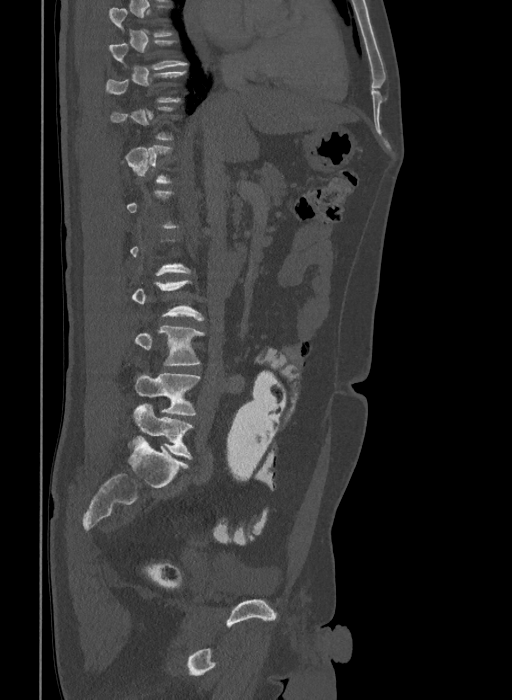

CT; sagittal view; W/L 1800/400 HU; 409 mm across the image
A vertebra gets a box only on the slices from the first to the last where its cross-section is at least a third of its largest; on a slice outside that range it gets none.
In these labels the spine has an L6, a sixth lumbar vertebra below L5.
<vertebrae><v name="L4" x1="135" y1="326" x2="205" y2="365"/><v name="L5" x1="135" y1="373" x2="200" y2="415"/><v name="L6" x1="132" y1="403" x2="193" y2="459"/></vertebrae>